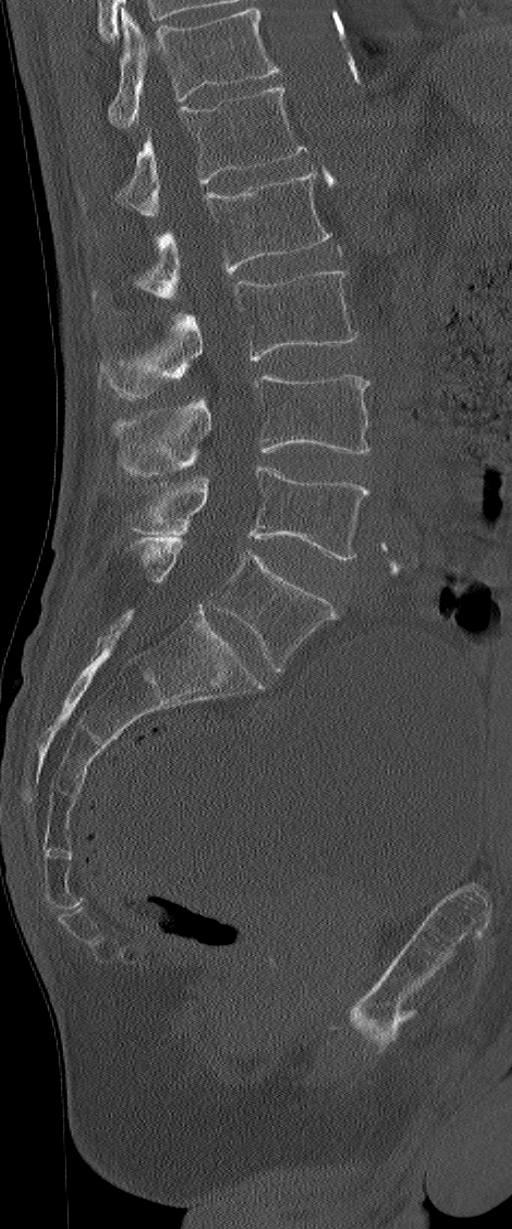 Spine CT — 195 mm wide — sagittal view — 512x1229 px

This scan's labels start at L1 at the top and end at L6 at the bottom.
In these labels the spine has an L6, a sixth lumbar vertebra below L5.
<vertebrae><v name="L1" x1="80" y1="87" x2="307" y2="218"/><v name="L2" x1="93" y1="164" x2="331" y2="299"/><v name="L3" x1="101" y1="271" x2="360" y2="399"/><v name="L4" x1="114" y1="374" x2="370" y2="475"/><v name="L5" x1="127" y1="466" x2="370" y2="559"/><v name="L6" x1="132" y1="539" x2="339" y2="669"/></vertebrae>